CT. the image is 500 mm wide. sagittal reformat. 556x600 px
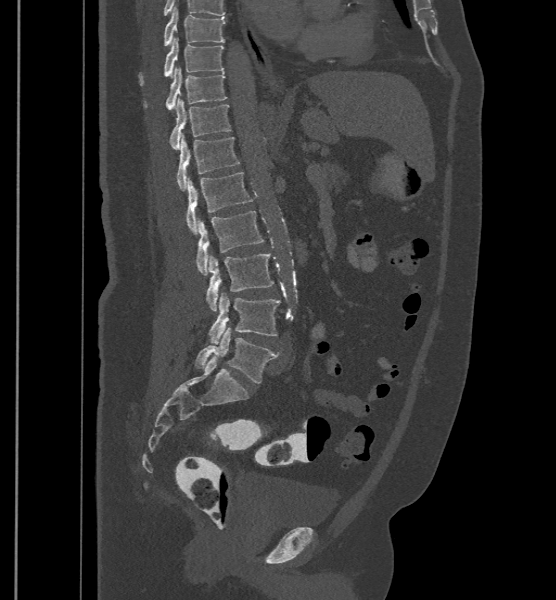

Each vertebra maps to its box as [x1, y1, x2, y2], the pixel coordinates of its top-left and bottom-right corners.
The labels name a sixth lumbar vertebra for this spine: L6, after L5.
{"vertebrae":{"L6":[194,327,279,382],"L5":[208,292,280,343],"L4":[205,253,274,311],"L3":[196,211,264,275],"L2":[186,172,253,234],"L1":[177,133,240,190],"T12":[169,98,231,149],"T11":[143,68,227,110],"T10":[139,37,224,86],"T9":[164,6,226,46]}}